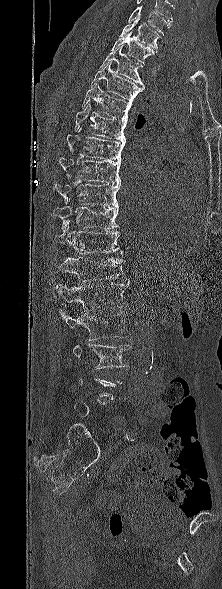

CT spine · the image is 222 mm wide · sagittal view

Bounding boxes as [x1, y1, x2, y2] in pixel coordinates.
Not every vertebra on this slice has a box: a vertebra is boxed only from the first to the last slice where its cross-section is at least a third of its largest, and this slice is outside that range for at least one of them.
Labels in this scan begin with T1 at the top and end with L5 at the bottom.
L3: [73, 344, 129, 370]
L2: [60, 309, 128, 340]
L1: [56, 281, 129, 311]
T12: [57, 254, 124, 281]
T11: [55, 221, 123, 254]
T10: [53, 198, 118, 230]
T9: [53, 183, 120, 207]
T8: [58, 157, 120, 184]
T7: [67, 127, 125, 160]
T6: [74, 103, 127, 141]
T5: [82, 84, 132, 120]
T4: [91, 60, 144, 101]
T3: [99, 46, 145, 86]
T2: [111, 31, 154, 64]
T1: [119, 16, 160, 52]